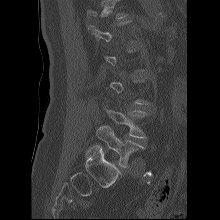
Spine computed tomography — sagittal view. Box edges are left/top/right/bottom in pixels.
Not every vertebra on this slice has a box: a vertebra is boxed only from the first to the last slice where its cross-section is at least a third of its largest, and this slice is outside that range for at least one of them.
| vertebra | x1 | y1 | x2 | y2 |
|---|---|---|---|---|
| L4 | 103 | 106 | 147 | 138 |
| L5 | 96 | 125 | 144 | 167 |